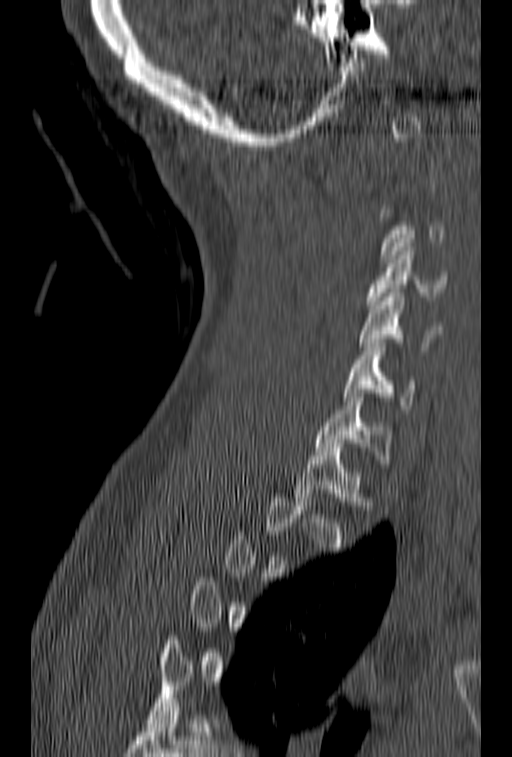

CT — sagittal reformat

Each vertebra is boxed only on the slices from the first to the last where its cross-section reaches a third of its largest, so a slice outside that range leaves it unboxed.
<vertebrae><v name="T1" x1="295" y1="443" x2="371" y2="509"/><v name="C7" x1="316" y1="393" x2="392" y2="463"/><v name="C6" x1="343" y1="343" x2="415" y2="413"/><v name="C5" x1="359" y1="293" x2="443" y2="350"/><v name="C4" x1="366" y1="247" x2="448" y2="309"/></vertebrae>